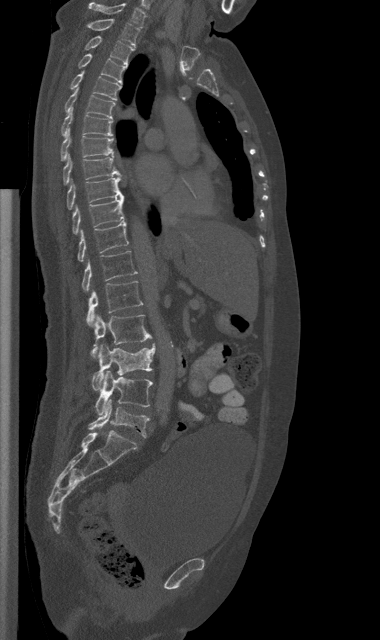
Computed tomography of the spine. sagittal view. 380x640 px. the image spans 380 mm across
Each box is [x1, y1, x2, y2] in pixels: top-left corner, then bottom-right corner.
{"vertebrae":{"C7":[88,2,145,28],"T1":[86,18,137,45],"T2":[85,35,135,65],"T3":[77,54,127,84],"T4":[70,71,121,100],"T5":[64,89,114,118],"T6":[61,109,112,136],"T7":[60,128,113,160],"T8":[63,154,120,184],"T9":[67,176,124,209],"T10":[72,198,124,234],"T11":[77,222,128,262],"T12":[81,251,136,291],"L1":[86,281,142,326],"L2":[91,314,151,359],"L3":[92,343,155,390],"L4":[95,371,152,414],"L5":[88,399,149,438]}}